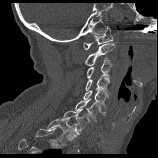
Spine CT · sagittal reformat · image 158 mm wide
Box edges are left/top/right/bottom in pixels. Labels in this scan begin with C1 at the top and end with T1 at the bottom. 8 vertebrae labeled — C1 at left=83, top=26, right=113, bottom=49; C2 at left=84, top=43, right=114, bottom=65; C3 at left=86, top=60, right=112, bottom=80; C4 at left=85, top=77, right=110, bottom=97; C5 at left=83, top=90, right=105, bottom=108; C6 at left=75, top=98, right=106, bottom=121; C7 at left=62, top=108, right=89, bottom=132; T1 at left=47, top=118, right=79, bottom=140.